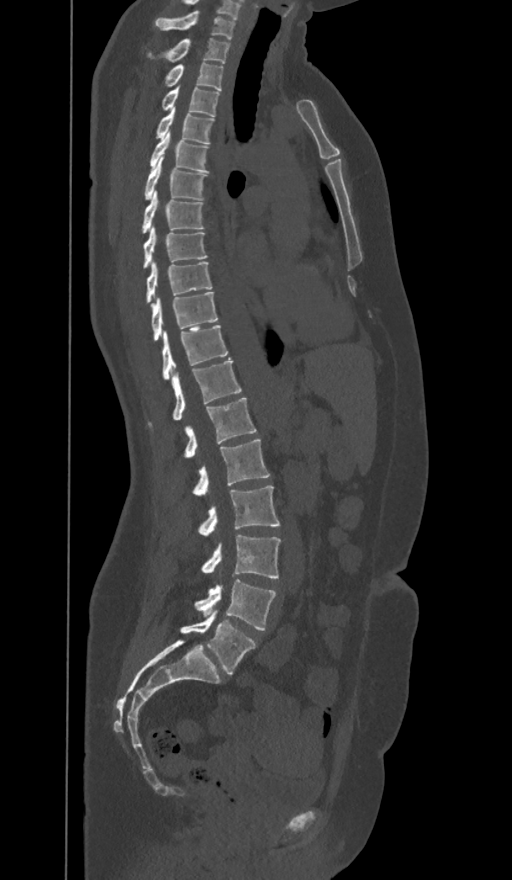

CT; sagittal view; bone-window reconstruction
Boxes below are [x1, y1, x2, y2] in pixels.
In these labels the spine has an L6, a sixth lumbar vertebra below L5.
{"vertebrae":{"C7":[155,11,234,38],"T1":[146,38,229,63],"T2":[164,63,223,90],"T3":[161,86,219,116],"T4":[156,107,214,143],"T5":[149,132,209,171],"T6":[144,156,206,200],"T7":[141,190,204,233],"T8":[142,227,207,269],"T9":[145,262,212,303],"T10":[150,291,218,340],"T11":[161,325,227,380],"T12":[148,359,241,427],"L1":[183,398,256,457],"L2":[191,439,270,496],"L3":[197,485,279,535],"L4":[201,535,281,578],"L5":[194,580,275,630],"L6":[181,611,255,675]}}